CT, spine. image width 252 mm. Sagittal slice 93/165. scan covers 21 annotated vertebrae. some of the image was removed or blocked out with constant pixels
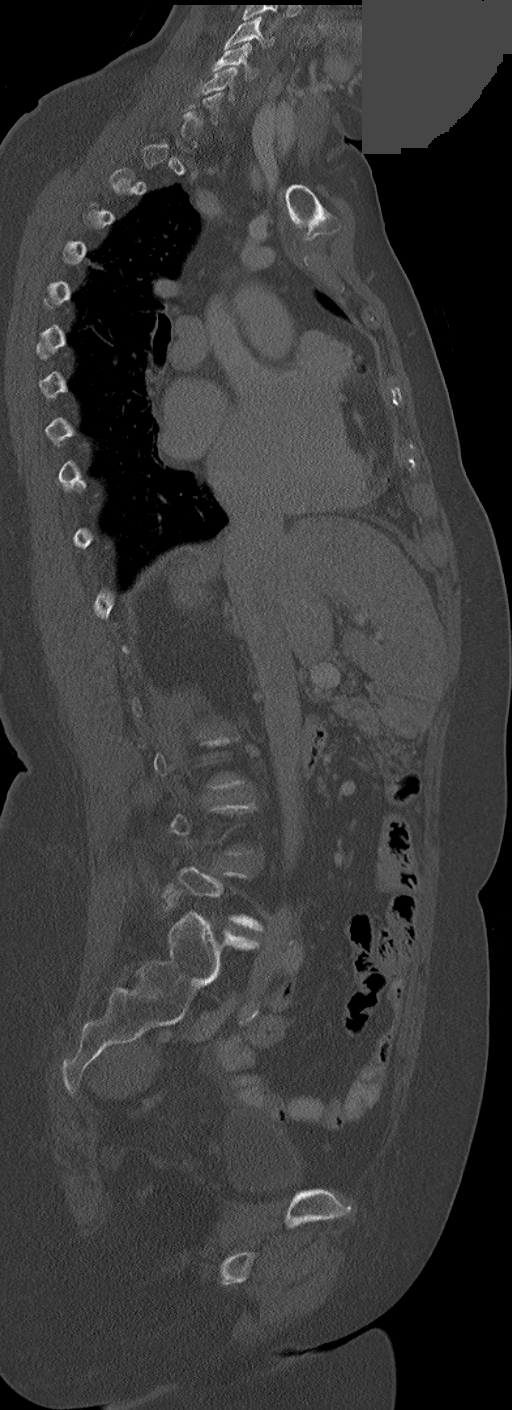
Each vertebra maps to its box as [x1, y1, x2, y2], the pixel coordinates of its top-left and bottom-right corners.
A vertebra gets a box only on the slices from the first to the last where its cross-section is at least a third of its largest; on a slice outside that range it gets none.
{"vertebrae":{"C5":[200,67,237,101],"C4":[213,42,256,79],"C3":[224,16,274,49]}}